CT spine; sagittal view; bone-window reconstruction; the image spans 382 mm across; 382x541 px; 20 vertebrae labeled in this scan
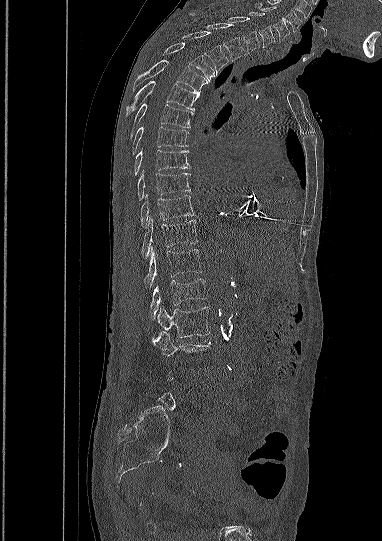

Boxes below are [x1, y1, x2, y2] in pixels.
A vertebra gets a box only on the slices from the first to the last where its cross-section is at least a third of its largest; on a slice outside that range it gets none.
{"vertebrae":{"C5":[255,1,289,40],"C6":[249,12,274,47],"C7":[228,16,259,52],"T1":[191,13,246,61],"T2":[182,31,228,75],"T3":[163,43,214,81],"T4":[133,60,207,93],"T5":[125,80,199,115],"T6":[129,103,193,138],"T7":[132,126,188,155],"T8":[133,150,189,176],"T9":[137,171,190,200],"T10":[140,195,194,228],"T11":[141,218,197,258],"T12":[144,247,201,288],"L1":[150,279,206,319],"L2":[157,307,209,337],"L3":[153,331,210,356]}}